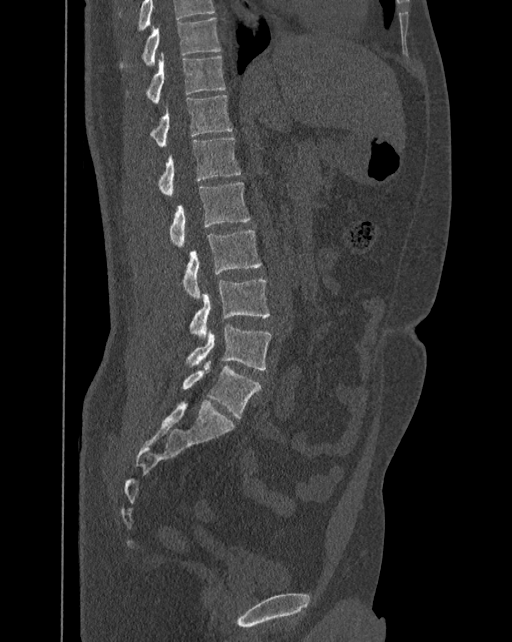

Computed tomography of the spine · 392 mm wide · sagittal view · W/L 1800/400 HU · 512x642 px
In the table, x1 and y1 are a box's top-left corner and x2 and y2 its bottom-right corner, in pixels.
The highest labeled vertebra in this scan is T10; the lowest is L6.
In these labels the spine has an L6, a sixth lumbar vertebra below L5.
| vertebra | x1 | y1 | x2 | y2 |
|---|---|---|---|---|
| T10 | 120 | 18 | 221 | 68 |
| T11 | 127 | 53 | 225 | 102 |
| T12 | 150 | 94 | 233 | 146 |
| L1 | 158 | 138 | 240 | 195 |
| L2 | 170 | 182 | 251 | 246 |
| L3 | 183 | 230 | 261 | 298 |
| L4 | 189 | 279 | 269 | 339 |
| L5 | 185 | 324 | 272 | 369 |
| L6 | 183 | 361 | 261 | 417 |